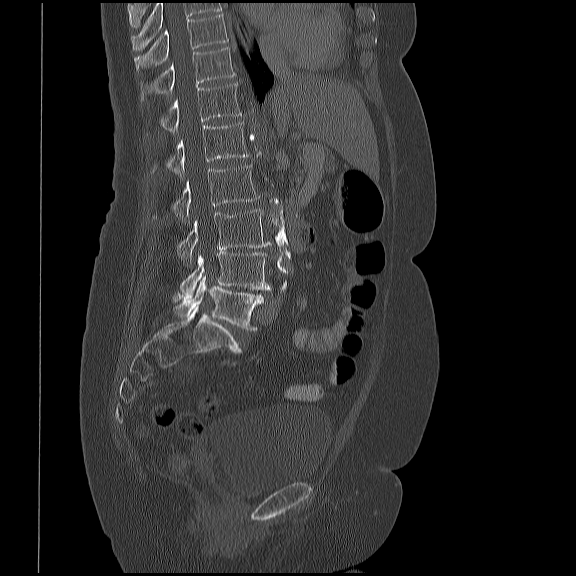 Spine CT · sagittal reformat
<vertebrae><v name="L5" x1="174" y1="275" x2="263" y2="329"/><v name="L4" x1="174" y1="252" x2="270" y2="301"/><v name="L3" x1="178" y1="208" x2="271" y2="265"/><v name="L2" x1="153" y1="164" x2="259" y2="221"/><v name="L1" x1="152" y1="122" x2="248" y2="180"/><v name="T12" x1="160" y1="83" x2="241" y2="133"/><v name="T11" x1="141" y1="47" x2="235" y2="101"/><v name="T10" x1="134" y1="13" x2="228" y2="71"/></vertebrae>